CT · Sagittal slice 230/512 · bone-window reconstruction
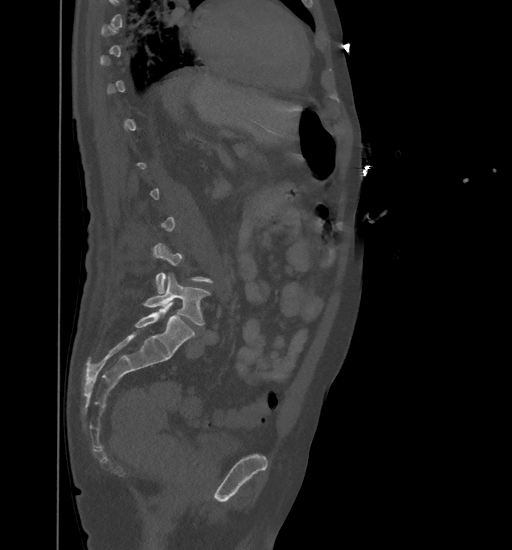
Bounding boxes as [x1, y1, x2, y2] in pixel coordinates.
Not every vertebra on this slice has a box: a vertebra is boxed only from the first to the last slice where its cross-section is at least a third of its largest, and this slice is outside that range for at least one of them.
L4: [153, 243, 212, 293]
L5: [142, 273, 211, 325]